Computed tomography of the spine — Sagittal slice 368/512 — bone window
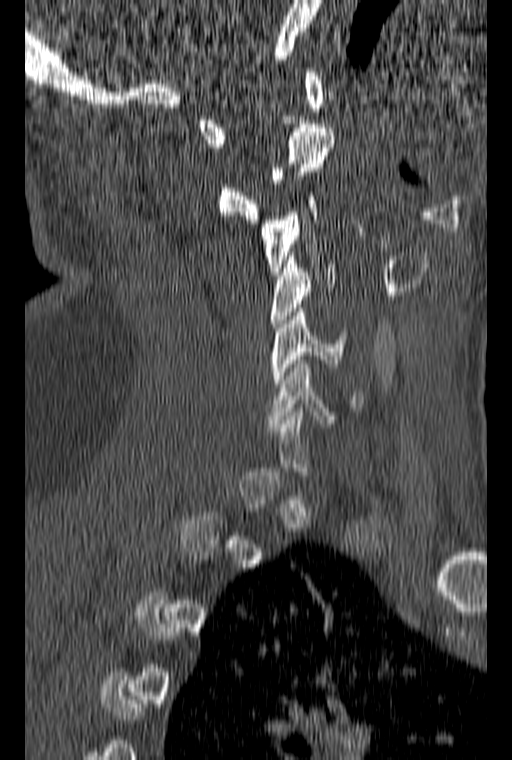

Coordinates as <box>x1,y1,x2,y2</box>. Each vertebra is boxed only on the slices from the first to the last where its cross-section reaches a third of its largest, so a slice outside that range leaves it unboxed. 6 vertebrae labeled — C1 at <box>197,68,325,147</box>; C2 at <box>217,124,334,223</box>; C3 at <box>261,192,318,275</box>; C4 at <box>271,252,336,327</box>; C5 at <box>272,308,347,387</box>; C6 at <box>267,356,362,427</box>.